CT, spine · Sagittal slice 253/512 · 180 mm across the image
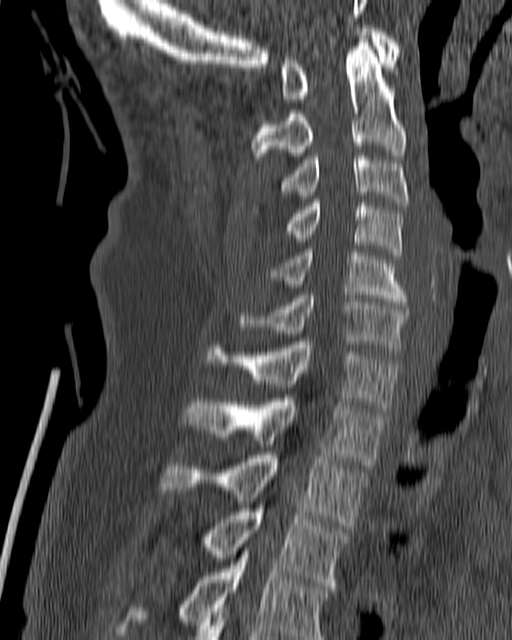 <vertebrae><v name="C1" x1="280" y1="25" x2="399" y2="102"/><v name="C2" x1="251" y1="43" x2="407" y2="163"/><v name="C3" x1="278" y1="153" x2="409" y2="205"/><v name="C4" x1="285" y1="199" x2="401" y2="255"/><v name="C5" x1="271" y1="249" x2="407" y2="305"/><v name="C6" x1="237" y1="292" x2="408" y2="351"/><v name="C7" x1="206" y1="341" x2="398" y2="411"/><v name="T1" x1="183" y1="395" x2="384" y2="465"/><v name="T2" x1="160" y1="452" x2="367" y2="529"/><v name="T3" x1="203" y1="508" x2="350" y2="589"/><v name="T4" x1="116" y1="544" x2="330" y2="639"/></vertebrae>